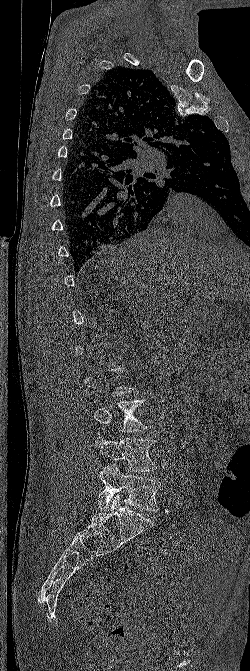
Spine computed tomography. sagittal view. bone window
Each box given as x1,y1,x2,y2.
Each vertebra is boxed only on the slices from the first to the last where its cross-section reaches a third of its largest, so a slice outside that range leaves it unboxed.
L3: x1=93, y1=399, x2=147, y2=432
L4: x1=94, y1=436, x2=157, y2=471
L5: x1=97, y1=463, x2=161, y2=510